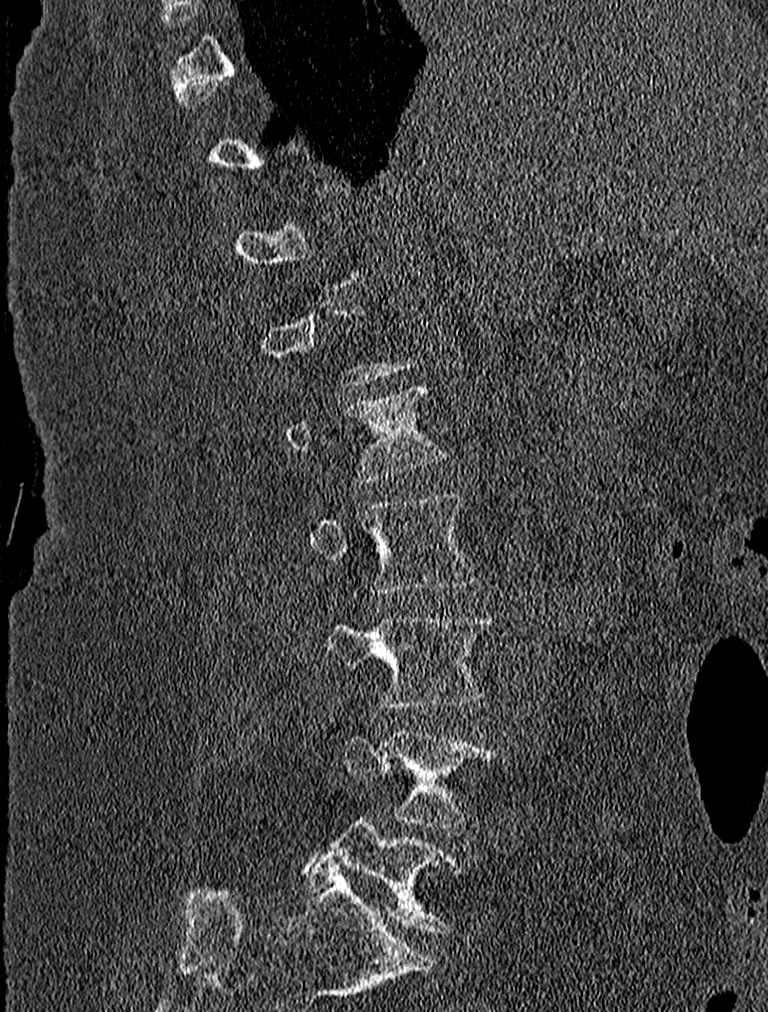 Spine CT; image 227 mm wide; sagittal view; 768x1012 px. Bounding boxes as [x1, y1, x2, y2] in pixel coordinates.
A vertebra is boxed only from the first to the last slice where its cross-section is at least a third of its largest; slices outside that range leave it without a box.
L1: [286, 382, 448, 483]
L2: [307, 495, 482, 593]
L3: [324, 614, 495, 708]
L4: [341, 729, 495, 826]
L5: [303, 818, 461, 932]